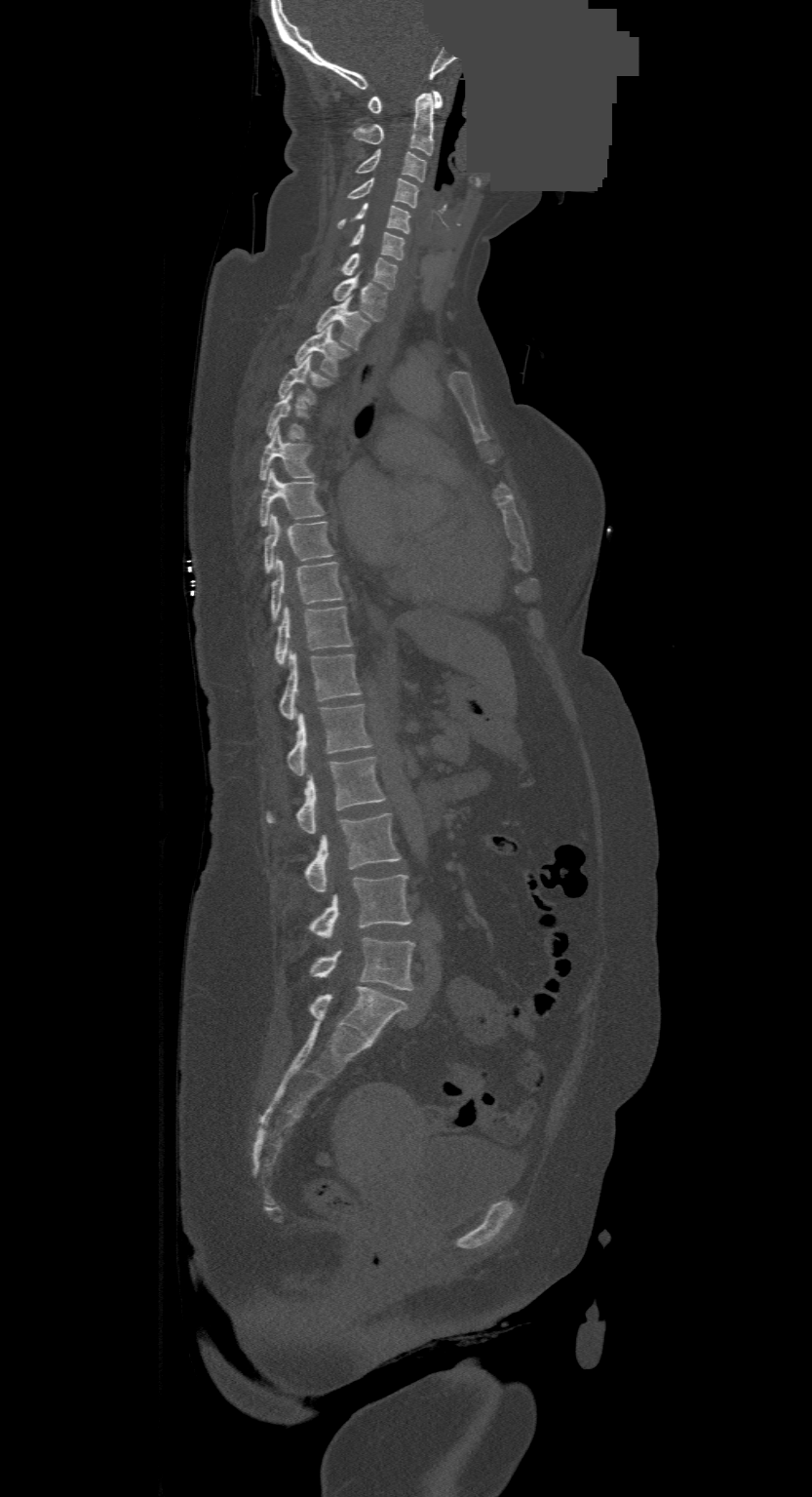

Spine computed tomography · sagittal reformat · W/L 1800/400 HU · 812x1497 px · part of the image is a flat gray fill, not anatomy
The highest labeled vertebra in this scan is C1; the lowest is L4.
<vertebrae><v name="L4" x1="311" y1="938" x2="414" y2="989"/><v name="L3" x1="309" y1="875" x2="411" y2="937"/><v name="L2" x1="303" y1="813" x2="401" y2="891"/><v name="L1" x1="266" y1="756" x2="385" y2="833"/><v name="T12" x1="286" y1="704" x2="370" y2="774"/><v name="T11" x1="279" y1="652" x2="359" y2="720"/><v name="T10" x1="275" y1="607" x2="351" y2="664"/><v name="T9" x1="270" y1="558" x2="343" y2="620"/><v name="T8" x1="263" y1="516" x2="333" y2="573"/><v name="T7" x1="260" y1="468" x2="325" y2="526"/><v name="T6" x1="260" y1="428" x2="315" y2="479"/><v name="T5" x1="266" y1="392" x2="308" y2="440"/><v name="T4" x1="278" y1="356" x2="332" y2="404"/><v name="T3" x1="293" y1="326" x2="348" y2="376"/><v name="T2" x1="316" y1="297" x2="368" y2="349"/><v name="T1" x1="333" y1="277" x2="388" y2="321"/><v name="C7" x1="339" y1="253" x2="398" y2="289"/><v name="C6" x1="349" y1="224" x2="406" y2="259"/><v name="C5" x1="338" y1="202" x2="410" y2="233"/><v name="C4" x1="347" y1="177" x2="418" y2="208"/><v name="C3" x1="356" y1="150" x2="426" y2="181"/><v name="C2" x1="352" y1="93" x2="436" y2="155"/><v name="C1" x1="368" y1="91" x2="444" y2="113"/></vertebrae>